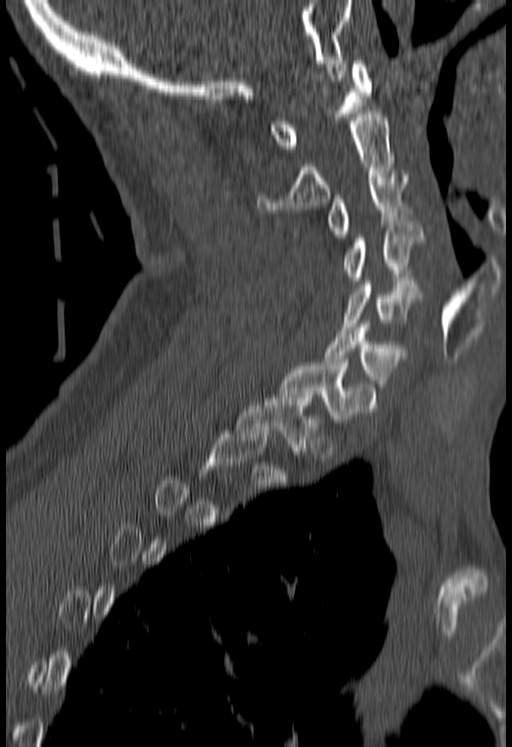 Computed tomography of the spine · sagittal view · 512x747 px
Coordinates as <box>x1,y1,x2,y2</box>.
A vertebra is boxed only from the first to the last slice where its cross-section is at least a third of its largest; slices outside that range leave it without a box.
Vertebra bounding boxes:
- C1: <box>269,60,370,148</box>
- C2: <box>257,114,392,212</box>
- C3: <box>328,174,407,237</box>
- C4: <box>345,220,424,280</box>
- C5: <box>342,281,424,333</box>
- C6: <box>325,324,407,387</box>
- C7: <box>276,363,375,422</box>
- T1: <box>236,395,324,454</box>